Spine CT · Sagittal slice 54/88
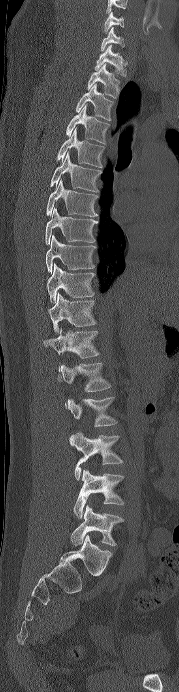
The highest labeled vertebra in this scan is C6; the lowest is L5.
<vertebrae><v name="L5" x1="70" y1="505" x2="123" y2="546"/><v name="L4" x1="73" y1="470" x2="124" y2="518"/><v name="L3" x1="70" y1="431" x2="123" y2="480"/><v name="L2" x1="66" y1="397" x2="117" y2="440"/><v name="L1" x1="57" y1="363" x2="111" y2="392"/><v name="T12" x1="44" y1="328" x2="99" y2="371"/><v name="T11" x1="48" y1="292" x2="96" y2="332"/><v name="T10" x1="47" y1="263" x2="95" y2="302"/><v name="T9" x1="46" y1="234" x2="95" y2="272"/><v name="T8" x1="45" y1="207" x2="96" y2="244"/><v name="T7" x1="46" y1="179" x2="97" y2="216"/><v name="T6" x1="50" y1="151" x2="99" y2="191"/><v name="T5" x1="56" y1="128" x2="104" y2="167"/><v name="T4" x1="65" y1="105" x2="109" y2="144"/><v name="T3" x1="75" y1="84" x2="113" y2="120"/><v name="T2" x1="87" y1="63" x2="119" y2="98"/><v name="T1" x1="94" y1="45" x2="126" y2="76"/><v name="C7" x1="100" y1="27" x2="124" y2="51"/><v name="C6" x1="104" y1="11" x2="124" y2="33"/></vertebrae>